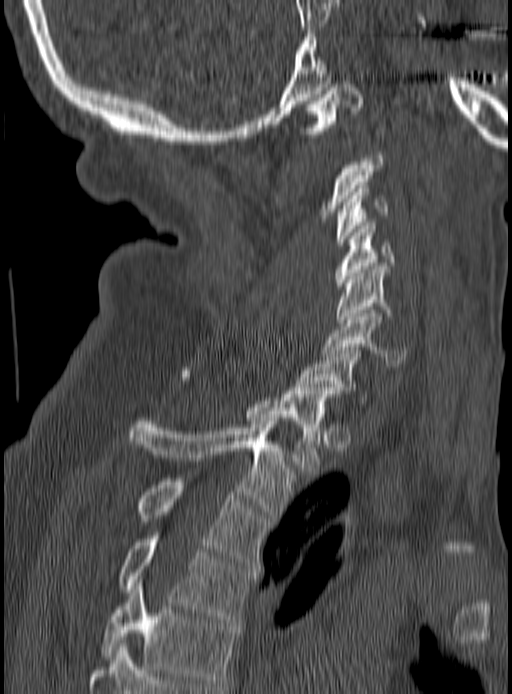 Computed tomography of the spine — sagittal reformat — 190 mm across the image
Each vertebra is boxed only on the slices from the first to the last where its cross-section reaches a third of its largest, so a slice outside that range leaves it unboxed.
<vertebrae><v name="T5" x1="103" y1="579" x2="237" y2="686"/><v name="T4" x1="119" y1="536" x2="256" y2="622"/><v name="T3" x1="138" y1="478" x2="269" y2="565"/><v name="T2" x1="128" y1="418" x2="294" y2="518"/><v name="T1" x1="180" y1="371" x2="334" y2="471"/><v name="C7" x1="297" y1="350" x2="368" y2="403"/><v name="C6" x1="322" y1="310" x2="408" y2="366"/><v name="C5" x1="337" y1="266" x2="391" y2="322"/><v name="C4" x1="335" y1="222" x2="394" y2="289"/><v name="C3" x1="335" y1="185" x2="389" y2="245"/><v name="C1" x1="299" y1="84" x2="364" y2="134"/></vertebrae>